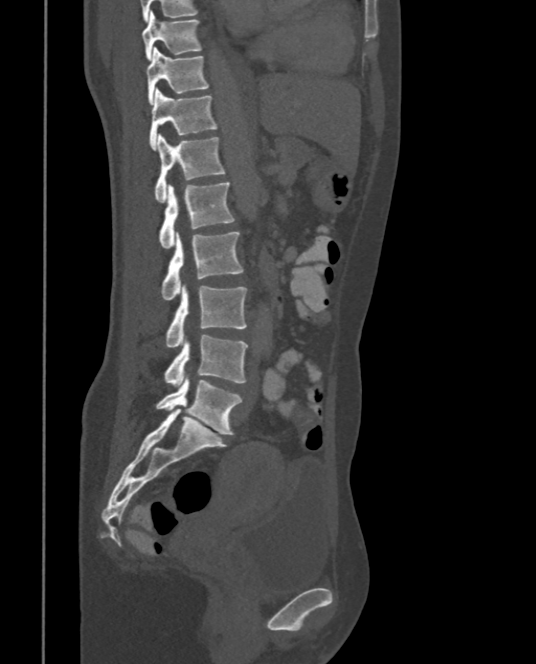

CT; sagittal view; bone-window reconstruction

Boxes are (x1, y1, x2, y2) in pixels. 9 vertebrae labeled — T9 at (142, 11, 202, 61); T10 at (146, 47, 209, 105); T11 at (150, 88, 218, 149); T12 at (154, 134, 225, 202); L1 at (158, 181, 234, 247); L2 at (161, 231, 243, 299); L3 at (165, 286, 247, 347); L4 at (164, 334, 247, 385); L5 at (156, 378, 242, 435).